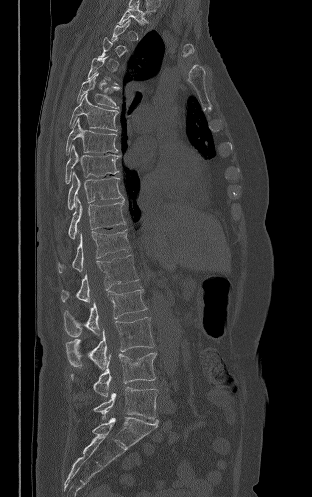
CT, spine. image 312 mm wide. sagittal view. W/L 1800/400 HU

Box edges are left/top/right/bottom in pixels. A vertebra gets a box only on the slices from the first to the last where its cross-section is at least a third of its largest; on a slice outside that range it gets none. Vertebrae labeled: T2 at left=118, top=3, right=145, bottom=25, T6 at left=77, top=72, right=118, bottom=108, T7 at left=69, top=91, right=118, bottom=131, T8 at left=65, top=118, right=117, bottom=155, T9 at left=65, top=145, right=119, bottom=183, T10 at left=67, top=171, right=123, bottom=210, T11 at left=68, top=197, right=125, bottom=239, T12 at left=58, top=229, right=130, bottom=272, L1 at left=61, top=255, right=138, bottom=302, L2 at left=64, top=289, right=147, bottom=337, L3 at left=66, top=317, right=154, bottom=368, L4 at left=71, top=353, right=156, bottom=397, L5 at left=94, top=387, right=157, bottom=420.